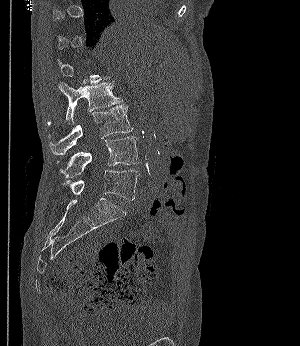 CT, spine; sagittal reformat
Boxes are (x1, y1, x2, y2) in pixels.
A vertebra gets a box only on the slices from the first to the last where its cross-section is at least a third of its largest; on a slice outside that range it gets none.
L5: (63, 169, 139, 200)
L4: (56, 136, 140, 177)
L3: (49, 104, 132, 155)
L2: (48, 82, 122, 124)